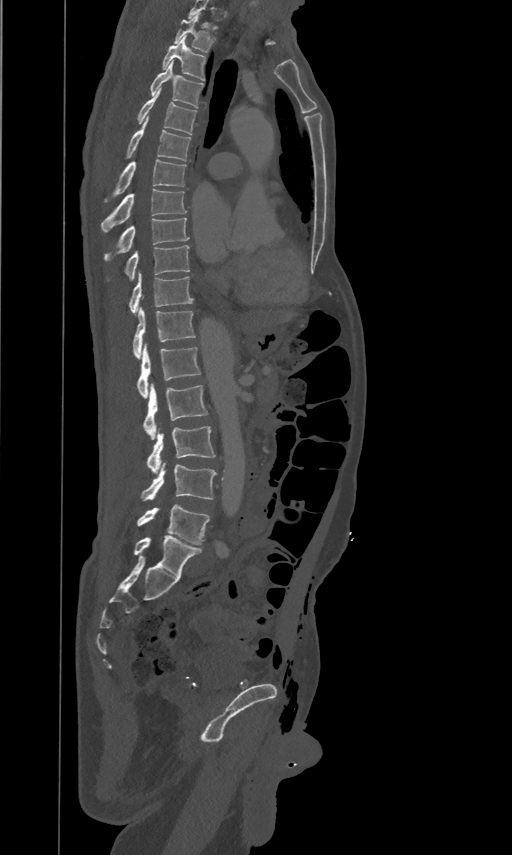
CT; sagittal reformat; W/L 1800/400 HU

Each box given as x1,y1,x2,y2.
Labels in this scan begin with T2 at the top and end with L5 at the bottom.
L5: x1=138, y1=504, x2=210, y2=544
L4: x1=142, y1=462, x2=216, y2=501
L3: x1=147, y1=425, x2=214, y2=474
L2: x1=142, y1=382, x2=207, y2=440
L1: x1=138, y1=342, x2=200, y2=397
T12: x1=133, y1=306, x2=194, y2=358
T11: x1=129, y1=271, x2=192, y2=314
T10: x1=125, y1=244, x2=189, y2=279
T9: x1=105, y1=216, x2=189, y2=259
T8: x1=101, y1=187, x2=186, y2=231
T7: x1=105, y1=159, x2=186, y2=201
T6: x1=125, y1=117, x2=190, y2=160
T5: x1=136, y1=87, x2=197, y2=135
T4: x1=151, y1=60, x2=203, y2=108
T3: x1=162, y1=35, x2=205, y2=80
T2: x1=174, y1=13, x2=215, y2=52